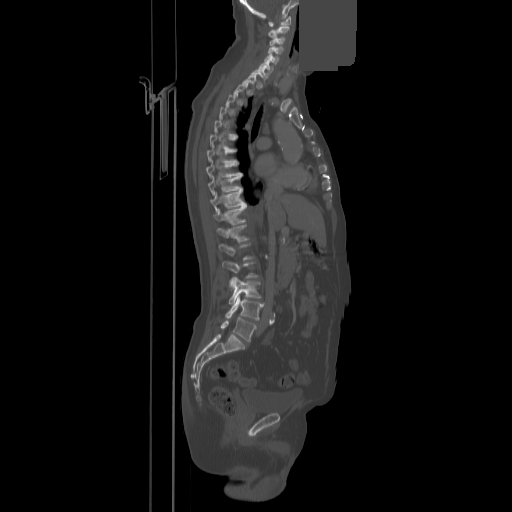

Spine CT · 858 mm across the image · sagittal reformat · bone window · some of the image was removed or blocked out with constant pixels

Boxes: x1:y1:x2:y2 in pixels.
Each vertebra is boxed only on the slices from the first to the last where its cross-section reaches a third of its largest, so a slice outside that range leaves it unboxed.
Vertebra bounding boxes:
- C1: 268:16:290:26
- C2: 268:25:289:37
- C3: 269:37:285:46
- C4: 268:46:283:53
- C5: 264:54:278:64
- C6: 259:61:273:71
- C7: 251:67:265:80
- T8: 206:161:242:178
- T9: 208:176:242:195
- T10: 210:188:244:211
- T11: 213:204:246:224
- T12: 217:224:248:242
- L1: 219:243:252:259
- L2: 222:261:257:277
- L3: 229:277:260:304
- L4: 226:295:263:319
- L5: 220:317:256:341